Computed tomography of the spine. sagittal view. bone-window reconstruction
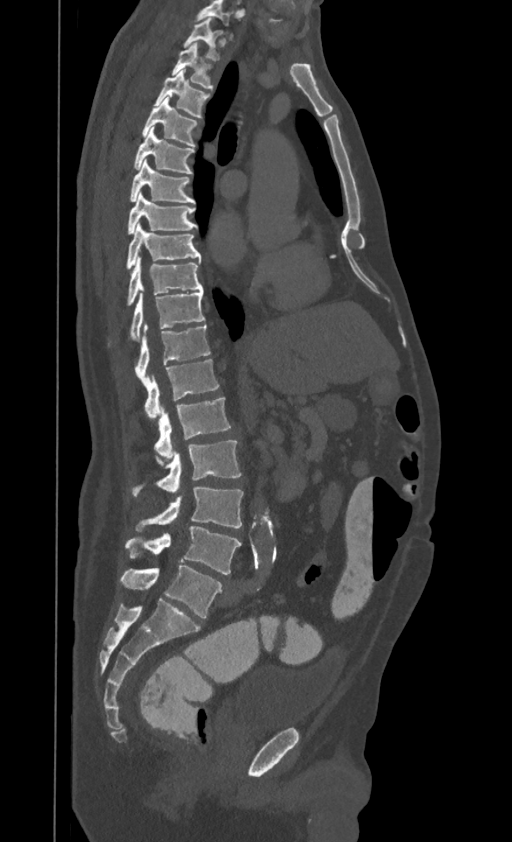

Box values are [left, top, right, bottom] in pixels.
The highest labeled vertebra in this scan is T1; the lowest is L4.
{"vertebrae":{"L4":[126,526,241,574],"L3":[136,488,243,532],"L2":[132,440,241,497],"L1":[154,398,231,457],"T12":[144,359,219,418],"T11":[135,324,210,386],"T10":[129,292,205,340],"T9":[127,257,202,305],"T8":[126,223,201,268],"T7":[127,192,197,233],"T6":[129,160,195,202],"T5":[133,127,195,174],"T4":[142,97,197,147],"T3":[154,70,209,118],"T2":[171,43,213,90],"T1":[184,17,221,60]}}